Spine CT — sagittal reformat — Bone window (WL 400, WW 1800) — 714x983 px
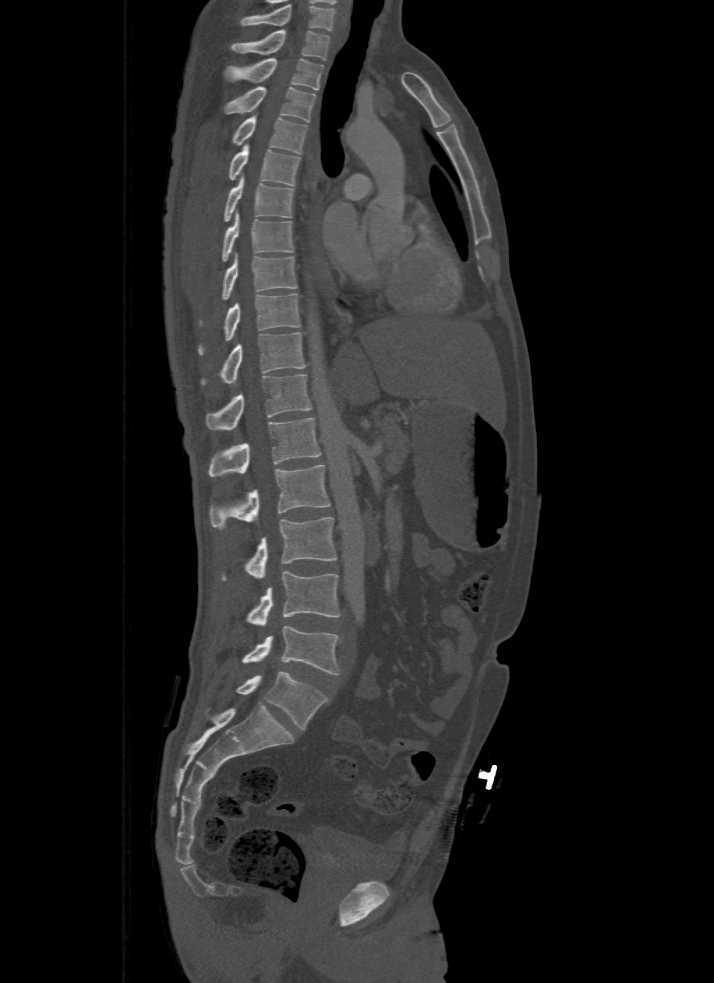 Boxes: x1:y1:x2:y2 in pixels.
In this scan, the topmost labeled vertebra is T1 and the lowest is L5.
Vertebra bounding boxes:
- T1: 232:30:330:59
- T2: 225:58:323:89
- T3: 225:86:314:122
- T4: 232:113:307:154
- T5: 229:145:300:185
- T6: 225:175:293:221
- T7: 222:210:293:261
- T8: 222:252:296:299
- T9: 198:293:300:354
- T10: 201:332:306:384
- T11: 205:375:311:429
- T12: 208:418:320:478
- L1: 211:465:331:529
- L2: 222:518:337:579
- L3: 246:570:341:625
- L4: 241:626:339:675
- L5: 236:672:328:729